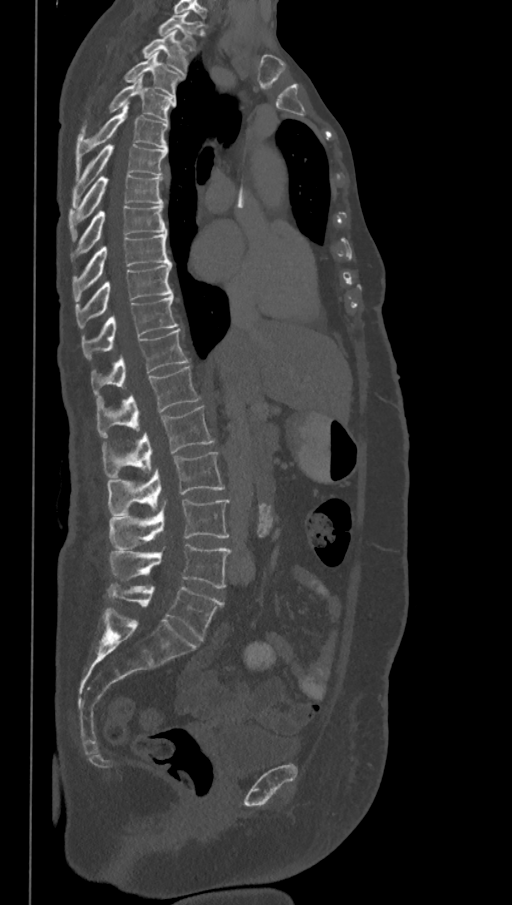 Spine computed tomography; sagittal view
In these labels the spine has an L6, a sixth lumbar vertebra below L5.
<vertebrae><v name="T1" x1="158" y1="13" x2="201" y2="49"/><v name="T2" x1="143" y1="30" x2="188" y2="73"/><v name="T3" x1="125" y1="53" x2="184" y2="97"/><v name="T4" x1="110" y1="76" x2="175" y2="122"/><v name="T5" x1="76" y1="105" x2="167" y2="174"/><v name="T6" x1="72" y1="144" x2="167" y2="207"/><v name="T7" x1="69" y1="175" x2="163" y2="239"/><v name="T8" x1="71" y1="205" x2="167" y2="264"/><v name="T9" x1="72" y1="233" x2="171" y2="302"/><v name="T10" x1="75" y1="264" x2="173" y2="327"/><v name="T11" x1="82" y1="294" x2="178" y2="360"/><v name="T12" x1="92" y1="329" x2="188" y2="400"/><v name="L1" x1="97" y1="367" x2="201" y2="439"/><v name="L2" x1="103" y1="406" x2="214" y2="477"/><v name="L3" x1="107" y1="452" x2="224" y2="515"/><v name="L4" x1="108" y1="500" x2="230" y2="551"/><v name="L5" x1="110" y1="543" x2="231" y2="588"/><v name="L6" x1="107" y1="582" x2="224" y2="640"/></vertebrae>